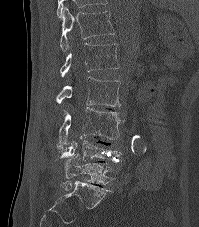

CT — image width 199 mm — sagittal view
Bounding boxes as [x1, y1, x2, y2] in pixel coordinates. Vertebrae labeled: T12 at [59, 7, 114, 52], L1 at [60, 43, 118, 77], L2 at [56, 77, 120, 106], L3 at [57, 107, 121, 150], L4 at [54, 137, 122, 162], L5 at [61, 159, 113, 190].